CT, spine. sagittal plane, index 83. 209 mm image width. W/L 1800/400 HU. 209x603 px
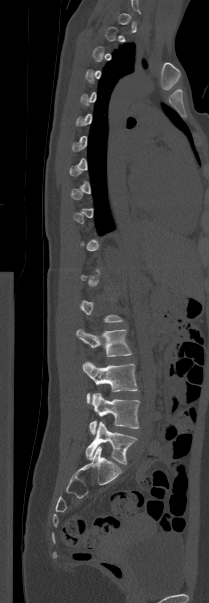 Boxes: x1 y1 x2 y2 (pixel coords, space-separated).
Not every vertebra on this slice has a box: a vertebra is boxed only from the first to the last slice where its cross-section is at least a third of its largest, and this slice is outside that range for at least one of them.
Vertebra bounding boxes:
- L2: 76 329 132 356
- L3: 82 361 137 403
- L4: 89 393 139 435
- L5: 85 421 136 464